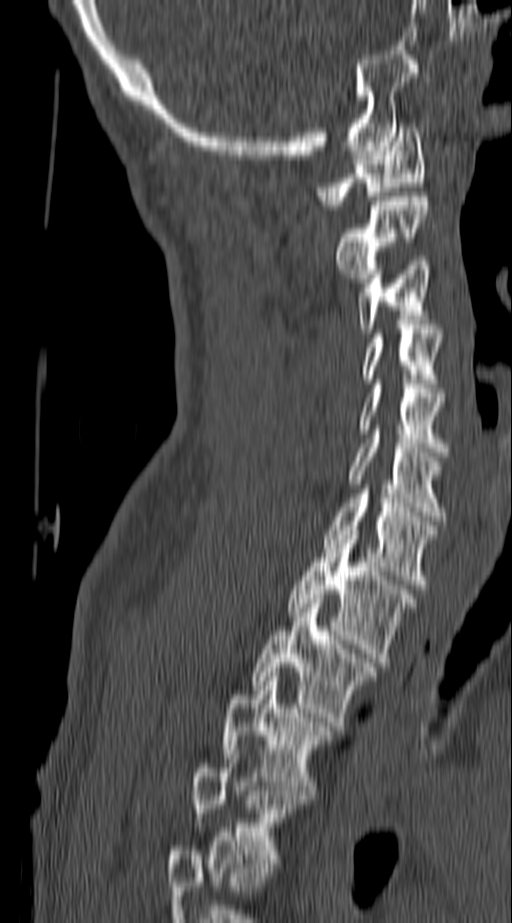

CT, spine; sagittal view; 512x923 px
Coordinates as <box>x1,y1,x2,y2</box>.
The highest labeled vertebra in this scan is C1; the lowest is T4.
T4: <box>192,754,308,868</box>
T3: <box>221,672,337,794</box>
T2: <box>250,599,377,726</box>
T1: <box>286,530,417,662</box>
C7: <box>323,489,436,584</box>
C6: <box>348,434,447,520</box>
C5: <box>360,384,447,456</box>
C4: <box>363,329,443,383</box>
C3: <box>357,261,430,333</box>
C2: <box>334,192,428,282</box>
C1: <box>316,123,425,209</box>